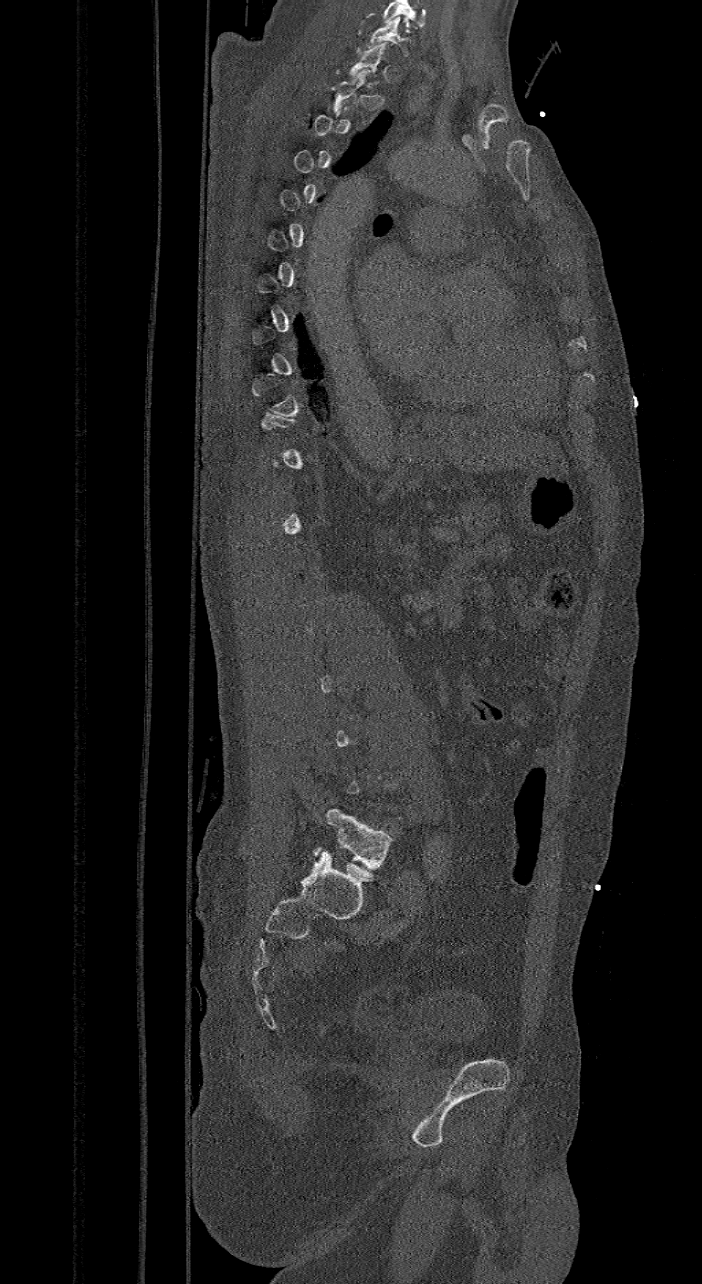
CT — sagittal view — bone window
Bounding boxes as [x1, y1, x2, y2] in pixel coordinates. Not every vertebra on this slice has a box: a vertebra is boxed only from the first to the last slice where its cross-section is at least a third of its largest, and this slice is outside that range for at least one of them. In this scan, the topmost labeled vertebra is C7 and the lowest is L6. In these labels the spine has an L6, a sixth lumbar vertebra below L5. 2 vertebrae labeled — L6 at [314, 809, 392, 877]; C7 at [367, 18, 409, 61].